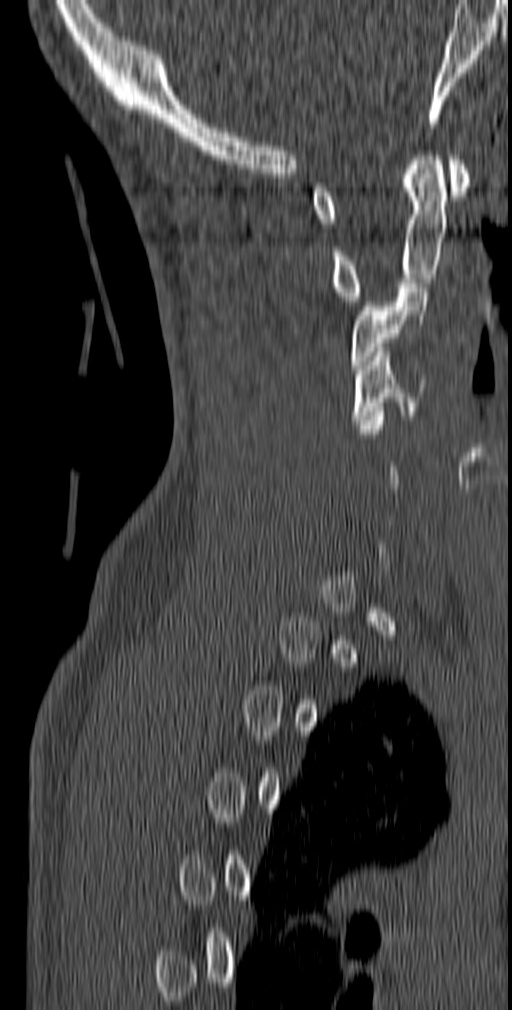

CT spine. image 140 mm wide. sagittal view. 512x1010 px
Boxes: x1 y1 x2 y2 (pixel coords, space-separated).
A vertebra gets a box only on the slices from the first to the last where its cross-section is at least a third of its largest; on a slice outside that range it gets none.
C1: 311 155 469 228
C2: 330 151 446 301
C3: 350 283 429 369
C4: 351 347 427 424